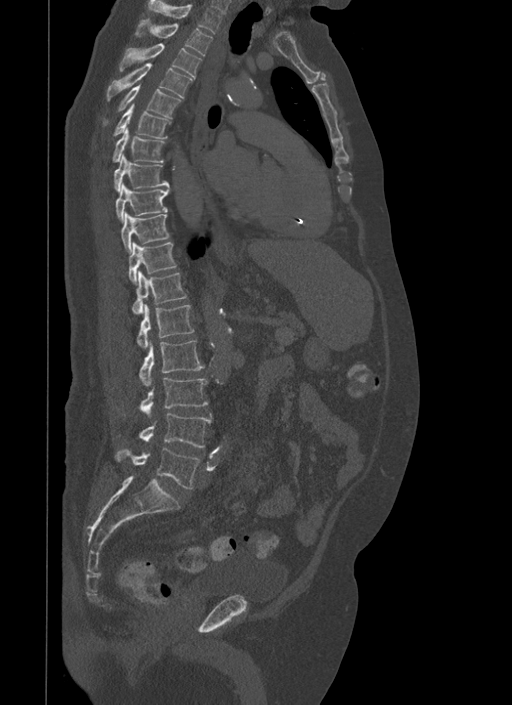
Computed tomography of the spine — sagittal view

Coordinates as <box>x1,y1,x2,y2</box>.
L5: <box>115,447,200,488</box>
L4: <box>140,413,211,448</box>
L3: <box>141,377,208,416</box>
L2: <box>140,340,204,386</box>
L1: <box>138,304,194,348</box>
T12: <box>133,270,187,314</box>
T11: <box>128,242,176,284</box>
T10: <box>121,212,169,253</box>
T9: <box>115,183,169,221</box>
T8: <box>113,155,169,192</box>
T7: <box>112,127,164,163</box>
T6: <box>113,103,170,138</box>
T5: <box>103,84,181,124</box>
T4: <box>106,62,192,99</box>
T3: <box>119,43,201,79</box>
T2: <box>136,18,212,55</box>
T1: <box>147,0,222,34</box>